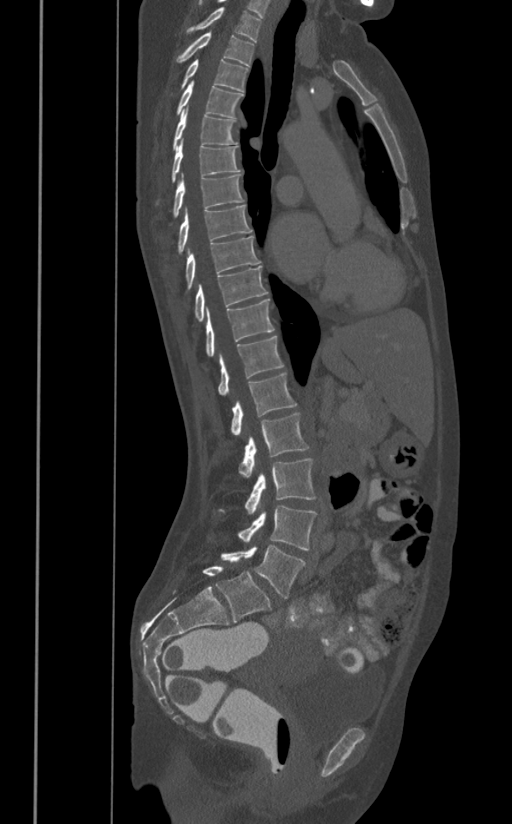
CT; 391 mm across the image; sagittal view

<vertebrae><v name="T1" x1="186" y1="7" x2="261" y2="41"/><v name="T2" x1="177" y1="33" x2="254" y2="66"/><v name="T3" x1="182" y1="59" x2="248" y2="91"/><v name="T4" x1="177" y1="81" x2="242" y2="117"/><v name="T5" x1="172" y1="106" x2="237" y2="150"/><v name="T6" x1="171" y1="139" x2="241" y2="182"/><v name="T7" x1="174" y1="173" x2="244" y2="215"/><v name="T8" x1="178" y1="204" x2="252" y2="254"/><v name="T9" x1="186" y1="236" x2="261" y2="289"/><v name="T10" x1="195" y1="266" x2="267" y2="320"/><v name="T11" x1="205" y1="298" x2="274" y2="355"/><v name="T12" x1="218" y1="336" x2="283" y2="395"/><v name="L1" x1="230" y1="374" x2="296" y2="434"/><v name="L2" x1="239" y1="412" x2="308" y2="477"/><v name="L3" x1="221" y1="458" x2="316" y2="513"/><v name="L4" x1="238" y1="506" x2="316" y2="549"/><v name="L5" x1="221" y1="544" x2="305" y2="598"/></vertebrae>